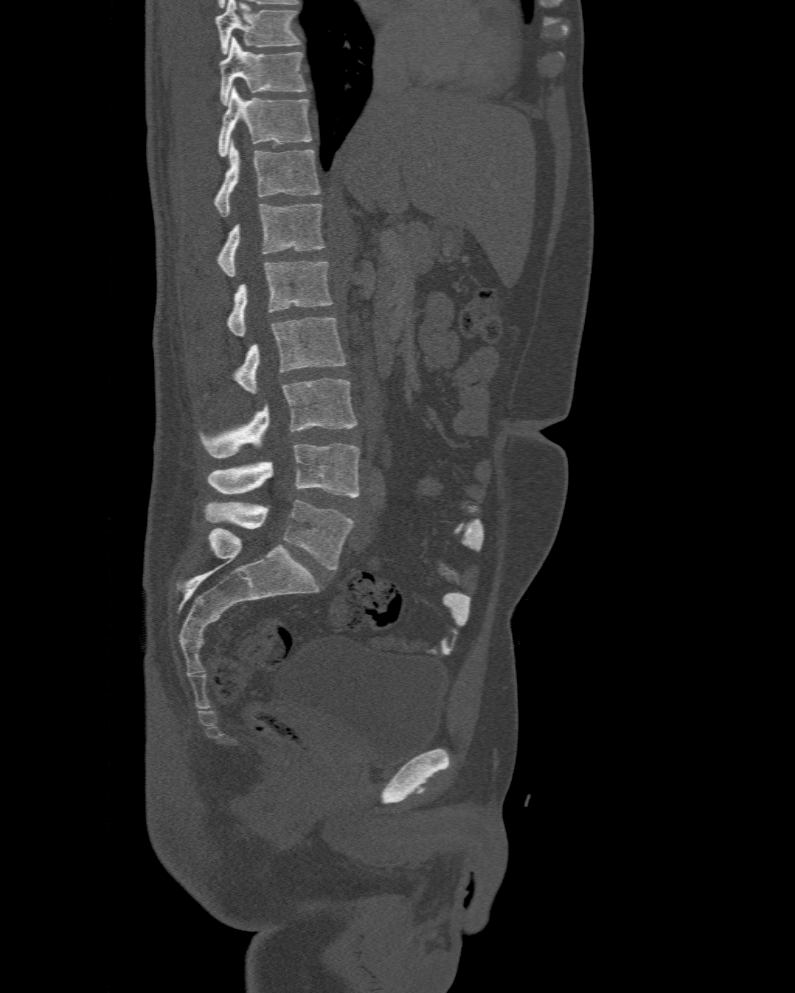

Computed tomography of the spine; sagittal view; Bone window (WL 400, WW 1800). Boxes: x1 y1 x2 y2 (pixel coords, space-separated). Labels in this scan begin with T10 at the top and end with L6 at the bottom. In these labels the spine has an L6, a sixth lumbar vertebra below L5. The labeled vertebrae in this slice are: T10 at 220 37 305 104, T11 at 219 87 313 157, T12 at 213 139 320 216, L1 at 216 203 325 276, L2 at 227 262 333 336, L3 at 234 317 345 394, L4 at 200 378 358 457, L5 at 207 443 359 497, L6 at 205 500 353 569.